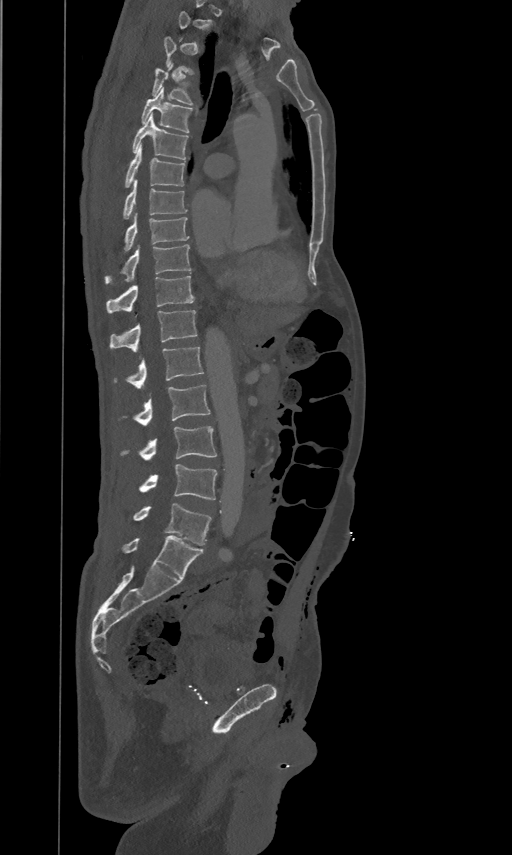 Spine computed tomography — sagittal view
A vertebra is boxed only from the first to the last slice where its cross-section is at least a third of its largest; slices outside that range leave it without a box.
<vertebrae><v name="T4" x1="152" y1="64" x2="192" y2="104"/><v name="T5" x1="141" y1="87" x2="192" y2="133"/><v name="T6" x1="133" y1="112" x2="188" y2="159"/><v name="T7" x1="125" y1="143" x2="185" y2="186"/><v name="T8" x1="123" y1="179" x2="187" y2="218"/><v name="T9" x1="125" y1="212" x2="189" y2="249"/><v name="T10" x1="105" y1="243" x2="191" y2="282"/><v name="T11" x1="106" y1="275" x2="194" y2="311"/><v name="T12" x1="109" y1="310" x2="197" y2="350"/><v name="L1" x1="113" y1="346" x2="203" y2="388"/><v name="L2" x1="119" y1="384" x2="210" y2="425"/><v name="L3" x1="120" y1="425" x2="216" y2="460"/><v name="L4" x1="139" y1="464" x2="216" y2="500"/><v name="L5" x1="133" y1="503" x2="211" y2="545"/></vertebrae>